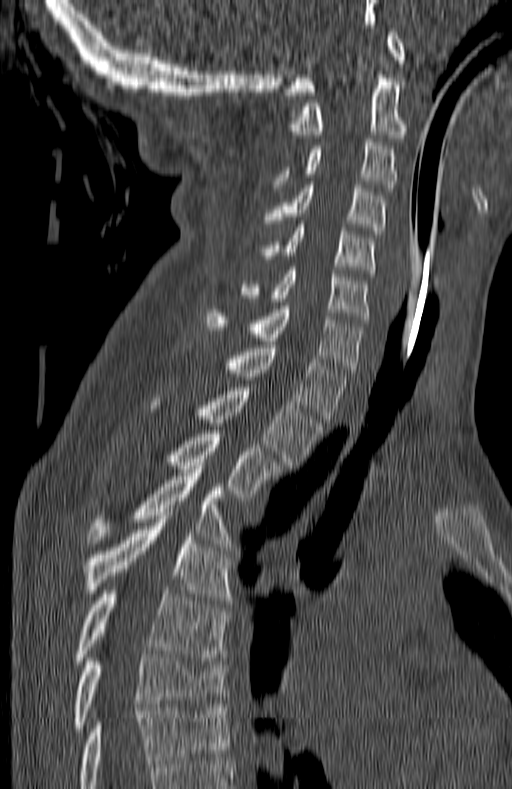
Spine computed tomography; sagittal view; 512x789 px
Box edges are left/top/right/bottom in pixels.
This scan's labels start at C1 at the top and end at T7 at the bottom.
C1: left=285, top=32, right=404, bottom=95
C2: left=288, top=71, right=407, bottom=141
C3: left=273, top=139, right=395, bottom=191
C4: left=265, top=185, right=387, bottom=234
C5: left=261, top=224, right=375, bottom=276
C6: left=243, top=267, right=370, bottom=323
C7: left=206, top=306, right=364, bottom=372
T1: left=226, top=345, right=348, bottom=422
T2: left=152, top=384, right=321, bottom=468
T3: left=166, top=430, right=282, bottom=497
T4: left=89, top=473, right=230, bottom=547
T5: left=86, top=516, right=230, bottom=600
T6: left=75, top=590, right=227, bottom=664
T7: left=75, top=654, right=225, bottom=731